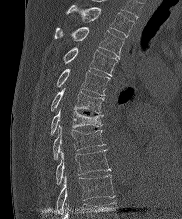 CT. the image is 182 mm wide. sagittal view
<vertebrae><v name="T2" x1="67" y1="5" x2="134" y2="37"/><v name="T3" x1="55" y1="27" x2="124" y2="59"/><v name="T4" x1="63" y1="47" x2="117" y2="75"/><v name="T5" x1="56" y1="69" x2="109" y2="95"/><v name="T6" x1="50" y1="88" x2="104" y2="113"/><v name="T7" x1="50" y1="109" x2="102" y2="135"/><v name="T8" x1="52" y1="125" x2="105" y2="159"/><v name="T9" x1="56" y1="150" x2="110" y2="185"/><v name="T10" x1="57" y1="174" x2="114" y2="213"/></vertebrae>